CT · Sagittal slice 137/250 · the image is 250 mm wide · 9 vertebrae labeled in this scan
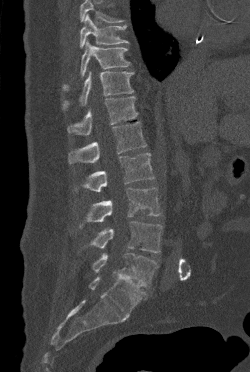
No box is given to a vertebra that the top edge of the scan cuts off.
<vertebrae><v name="T9" x1="80" y1="14" x2="128" y2="48"/><v name="T10" x1="63" y1="40" x2="130" y2="90"/><v name="T11" x1="62" y1="71" x2="134" y2="109"/><v name="T12" x1="67" y1="96" x2="137" y2="135"/><v name="L1" x1="68" y1="121" x2="146" y2="163"/><v name="L2" x1="74" y1="153" x2="154" y2="191"/><v name="L3" x1="79" y1="187" x2="160" y2="227"/><v name="L4" x1="90" y1="221" x2="162" y2="253"/><v name="L5" x1="92" y1="253" x2="157" y2="287"/></vertebrae>